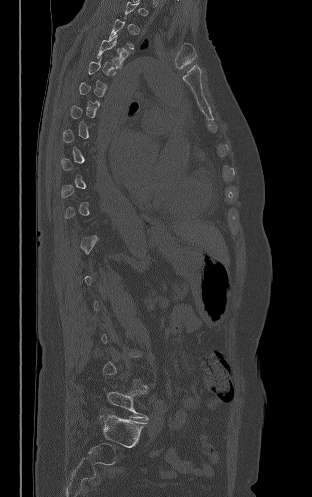 Computed tomography of the spine. sagittal view. image width 312 mm
Boxes are (x1, y1, x2, y2) in pixels. Not every vertebra on this slice has a box: a vertebra is boxed only from the first to the last slice where its cross-section is at least a third of its largest, and this slice is outside that range for at least one of them. 2 vertebrae labeled — T4 at (97, 35, 129, 68); L5 at (107, 386, 148, 419).